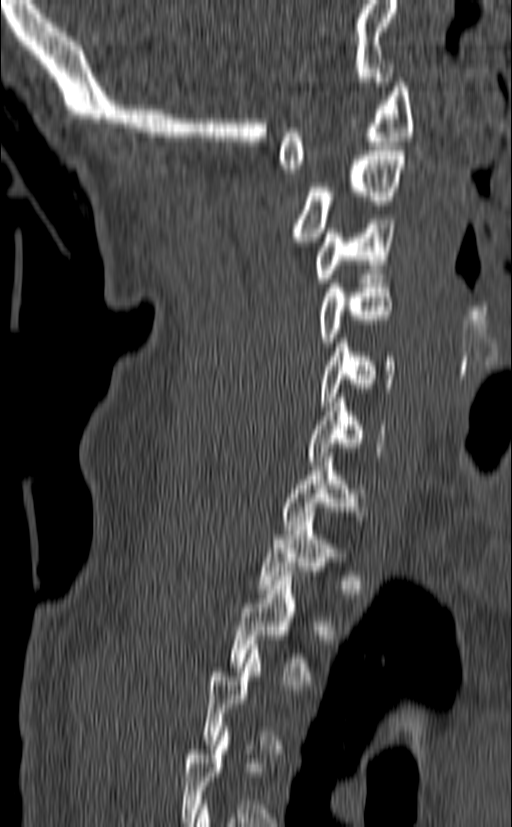

CT — sagittal view — 512x827 px
A vertebra gets a box only on the slices from the first to the last where its cross-section is at least a third of its largest; on a slice outside that range it gets none.
<vertebrae><v name="C1" x1="278" y1="78" x2="413" y2="173"/><v name="C2" x1="294" y1="146" x2="406" y2="246"/><v name="C3" x1="316" y1="219" x2="395" y2="282"/><v name="C4" x1="320" y1="274" x2="392" y2="346"/><v name="C5" x1="319" y1="338" x2="395" y2="406"/><v name="C6" x1="308" y1="398" x2="386" y2="461"/><v name="C7" x1="283" y1="453" x2="363" y2="534"/><v name="T1" x1="258" y1="512" x2="348" y2="593"/><v name="T2" x1="230" y1="571" x2="311" y2="685"/></vertebrae>